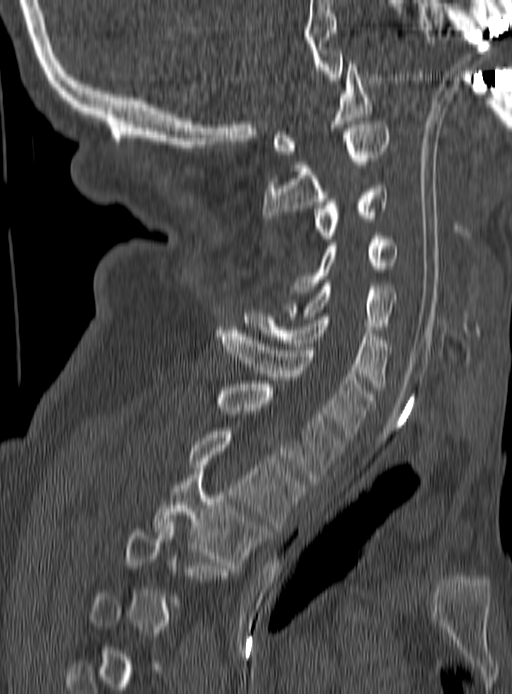

CT spine · sagittal view · W/L 1800/400 HU. Boxes: x1:y1:x2:y2 in pixels.
Each vertebra is boxed only on the slices from the first to the last where its cross-section reaches a third of its largest, so a slice outside that range leaves it unboxed.
C1: 273:64:371:154
C2: 262:121:388:221
C3: 313:185:388:242
C4: 289:232:396:299
C5: 289:283:396:329
C6: 243:310:391:390
C7: 216:330:374:437
T1: 216:384:342:484
T2: 189:431:304:528
T3: 154:472:267:565